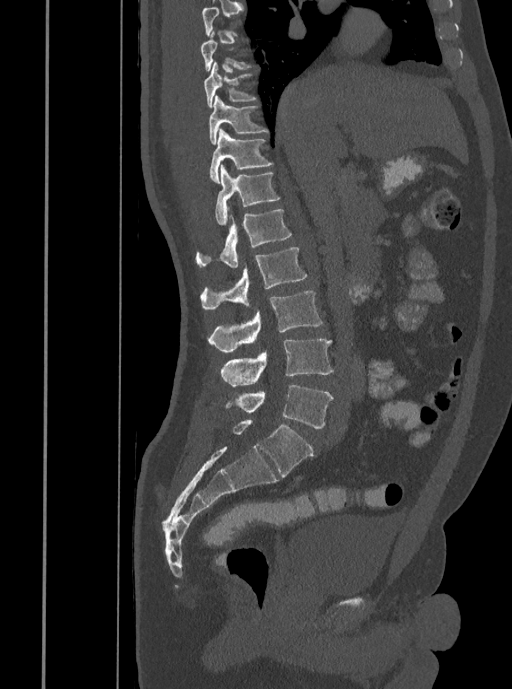

Spine CT · sagittal view
Box values are [left, top, right, bottom] in pixels.
A vertebra is boxed only from the first to the last slice where its cross-section is at least a third of its largest; slices outside that range leave it without a box.
{"vertebrae":{"T9":[203,62,256,107],"T10":[208,95,267,144],"T11":[209,128,272,183],"T12":[214,165,280,225],"L1":[195,210,291,267],"L2":[200,247,306,310],"L3":[208,291,323,351],"L4":[219,339,333,386],"L5":[224,384,333,428]}}